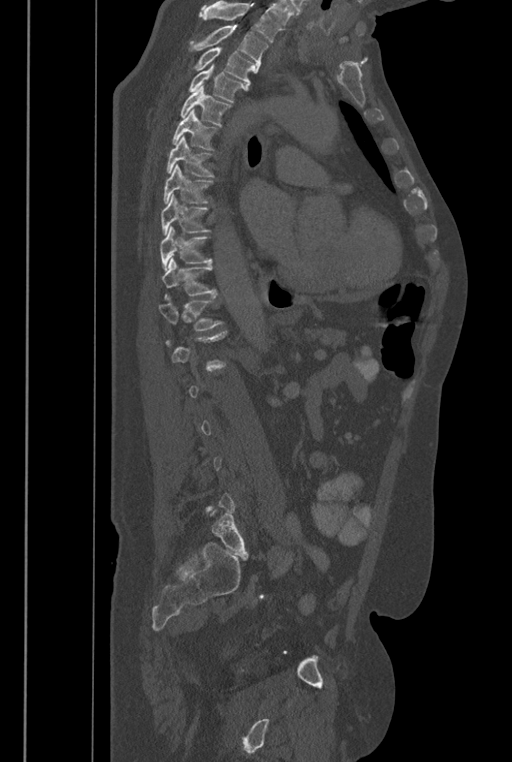 Spine CT; sagittal reformat; Bone window (WL 400, WW 1800); 512x762 px; image 446 mm wide
Boxes are (x1, y1, x2, y2) in pixels.
A vertebra gets a box only on the slices from the first to the last where its cross-section is at least a third of its largest; on a slice outside that range it gets none.
A vertebra cut off by the top edge of the scan is not labeled and has no box.
The labels name a sixth lumbar vertebra for this spine: L6, after L5.
T2: (192, 26, 268, 72)
T3: (195, 48, 255, 91)
T4: (189, 63, 244, 102)
T5: (180, 84, 231, 125)
T6: (172, 108, 216, 150)
T7: (166, 135, 212, 176)
T8: (163, 164, 212, 204)
T9: (161, 194, 209, 235)
T10: (159, 226, 211, 271)
T11: (161, 258, 216, 299)
T12: (158, 295, 224, 330)
L6: (209, 509, 248, 555)